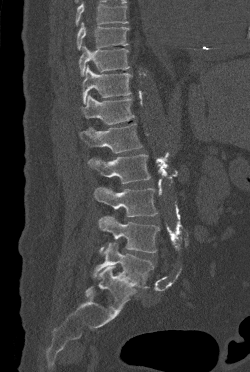 Spine computed tomography; sagittal reformat. Boxes: x1 y1 x2 y2 (pixel coords, space-separated).
No box is given to a vertebra that the top edge of the scan cuts off.
Vertebra bounding boxes:
- T9: 77 22 129 50
- T10: 79 45 129 76
- T11: 82 65 131 104
- T12: 80 94 134 124
- L1: 80 123 142 153
- L2: 88 154 150 184
- L3: 94 187 157 217
- L4: 98 216 159 253
- L5: 93 242 153 287